CT spine — sagittal plane, index 191 — W/L 1800/400 HU — 350x637 px — 17 vertebrae labeled in this scan
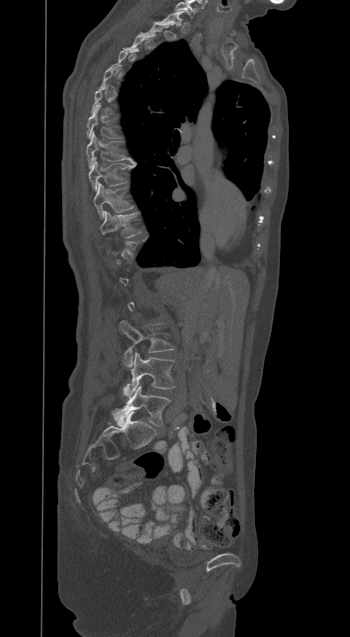 Box edges are left/top/right/bottom in pixels.
Not every vertebra on this slice has a box: a vertebra is boxed only from the first to the last slice where its cross-section is at least a third of its largest, and this slice is outside that range for at least one of them.
T7: left=87, top=104, right=116, bottom=138
T8: left=86, top=132, right=134, bottom=167
T9: left=88, top=157, right=136, bottom=190
T10: left=93, top=183, right=132, bottom=218
T11: left=100, top=211, right=140, bottom=237
L3: left=119, top=320, right=173, bottom=367
L4: left=124, top=352, right=175, bottom=396
L5: left=114, top=385, right=170, bottom=426